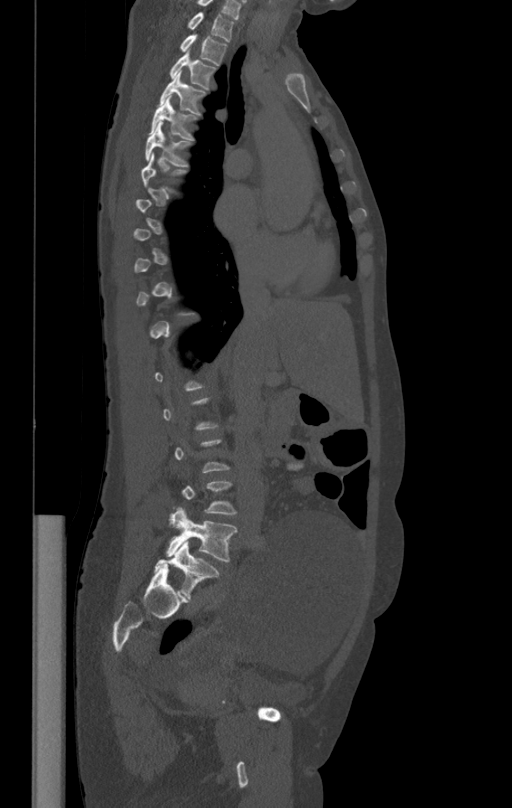 Spine computed tomography · sagittal reformat
Coordinates as <box>x1,y1,x2,y2</box>.
A vertebra gets a box only on the slices from the first to the last where its cross-section is at least a third of its largest; on a slice outside that range it gets none.
Vertebra bounding boxes:
- T1: <box>188,12,234,42</box>
- T2: <box>180,34,226,65</box>
- T3: <box>170,50,215,88</box>
- T4: <box>160,73,205,114</box>
- T5: <box>150,96,196,139</box>
- T6: <box>146,122,190,167</box>
- L5: <box>166,507,237,562</box>